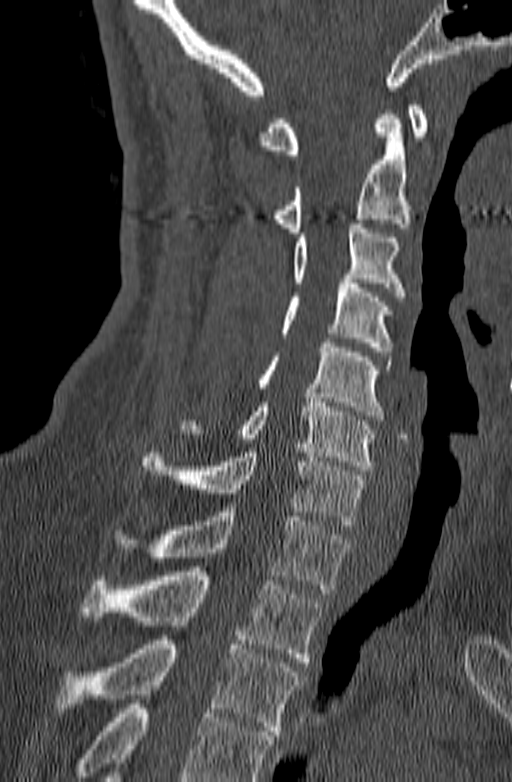
Spine CT; sagittal view; 512x782 px
Vertebrae that run past the bottom of the scan are left unlabeled.
<vertebrae><v name="C1" x1="257" y1="105" x2="427" y2="154"/><v name="C2" x1="272" y1="110" x2="410" y2="232"/><v name="C3" x1="293" y1="219" x2="406" y2="296"/><v name="C4" x1="279" y1="279" x2="392" y2="351"/><v name="C5" x1="257" y1="338" x2="392" y2="420"/><v name="C6" x1="179" y1="398" x2="377" y2="470"/><v name="C7" x1="140" y1="448" x2="366" y2="529"/><v name="T1" x1="112" y1="507" x2="351" y2="593"/><v name="T2" x1="81" y1="571" x2="322" y2="662"/><v name="T3" x1="55" y1="640" x2="305" y2="735"/></vertebrae>